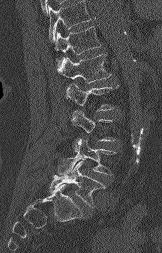 CT spine. sagittal view. image width 162 mm
Each vertebra maps to its box as [x1, y1, x2, y2], the pixel coordinates of its top-left and bottom-right corners.
Where the top of the scan cuts through a vertebra, that vertebra gets no label or box.
{"vertebrae":{"T12":[55,26,101,65],"L1":[57,54,111,83],"L2":[66,83,118,111],"L3":[71,110,114,141],"L4":[58,139,115,175],"L5":[50,161,104,207]}}